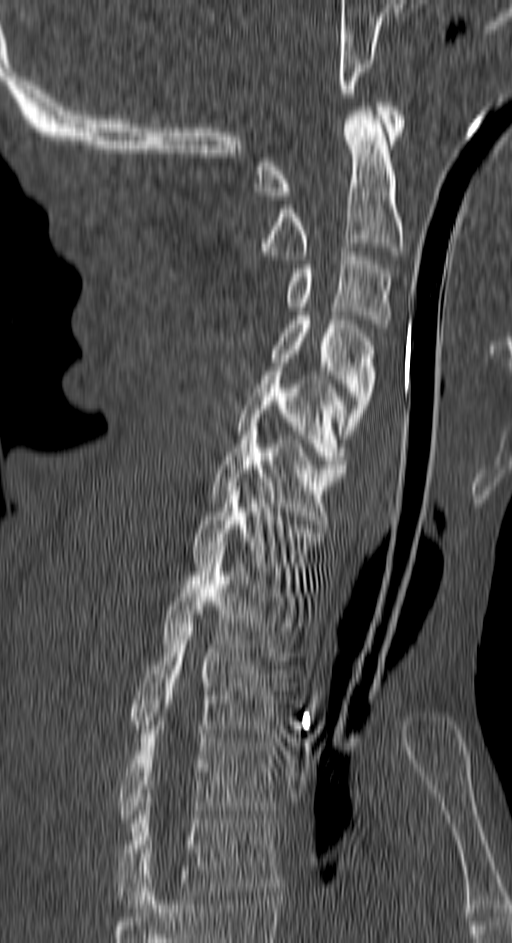 CT spine. sagittal view
Coordinates as <box>x1,y1,x2,y2</box>. 11 vertebrae labeled — T4 at <box>117,806,280,908</box>; T3 at <box>117,725,280,827</box>; T2 at <box>131,627,286,733</box>; T1 at <box>162,555,300,660</box>; C7 at <box>192,486,324,588</box>; C6 at <box>209,427,345,524</box>; C5 at <box>237,371,347,468</box>; C4 at <box>271,316,376,438</box>; C3 at <box>285,247,393,328</box>; C2 at <box>257,107,403,259</box>; C1 at <box>254,102,403,200</box>.